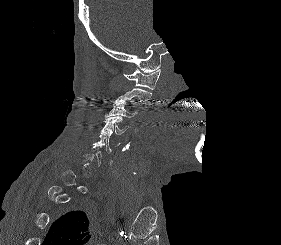 Computed tomography of the spine; sagittal view; part of the image has been replaced by a constant value

Each box is [x1, y1, x2, y2] in pixels: top-left corner, then bottom-right corner.
Each vertebra is boxed only on the slices from the first to the last where its cross-section reaches a third of its largest, so a slice outside that range leaves it unboxed.
{"vertebrae":{"C1":[123,68,160,90],"C2":[113,88,151,104],"C3":[105,101,137,118],"C4":[100,116,128,134],"C5":[92,132,120,153]}}